CT spine — sagittal reformat — bone-window reconstruction
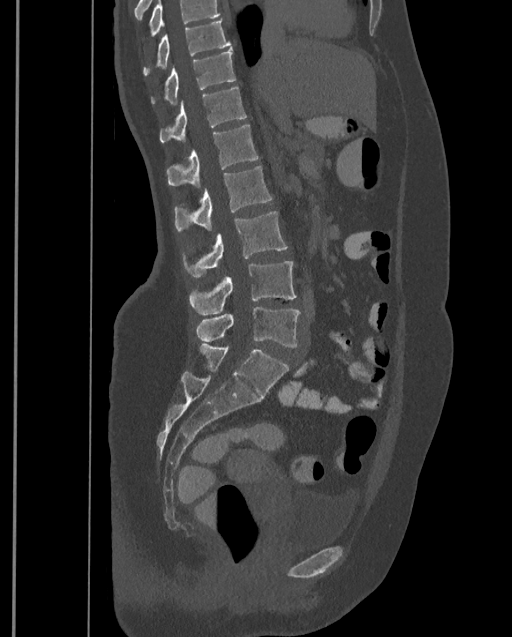
Boxes: x1 y1 x2 y2 (pixel coords, space-separated).
No box is given to a vertebra that the top edge of the scan cuts off.
This scan's labels start at T9 at the top and end at L4 at the bottom.
Vertebra bounding boxes:
- T9: 143 20 231 76
- T10: 151 49 235 104
- T11: 159 87 247 142
- T12: 166 125 258 187
- L1: 174 166 272 231
- L2: 182 211 288 277
- L3: 188 262 297 315
- L4: 196 306 300 347